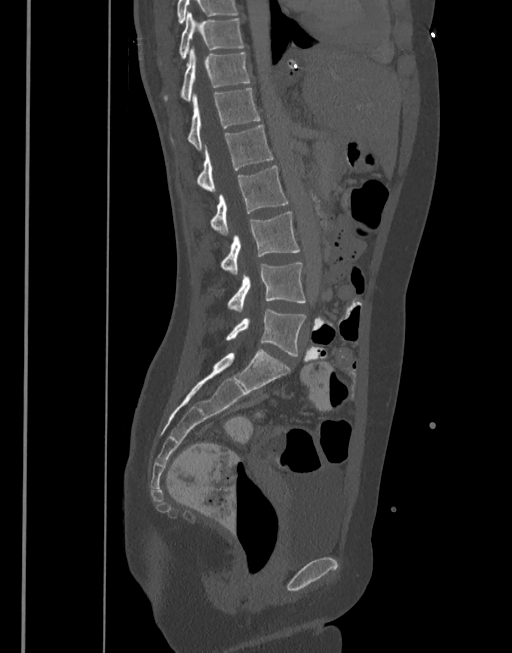
Spine CT — sagittal reformat — W/L 1800/400 HU
Boxes: x1 y1 x2 y2 (pixel coords, space-separated).
T10: 159 12 245 65
T11: 163 49 250 102
T12: 170 88 261 149
L1: 195 125 273 191
L2: 210 165 288 235
L3: 220 211 300 274
L4: 227 262 306 311
L5: 225 309 306 356